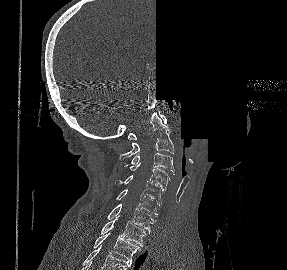
CT · the image is 287 mm wide · sagittal reformat · 287x270 px · a region of this slice is masked with a uniform fill
In the table, x1 and y1 are a box's top-left corner and x2 and y2 its bottom-right corner, in pixels.
| vertebra | x1 | y1 | x2 | y2 |
|---|---|---|---|---|
| C1 | 128 | 111 | 166 | 139 |
| C2 | 119 | 112 | 174 | 159 |
| C3 | 128 | 153 | 174 | 174 |
| C4 | 124 | 163 | 170 | 190 |
| C5 | 115 | 175 | 164 | 204 |
| C6 | 116 | 189 | 160 | 218 |
| C7 | 107 | 204 | 156 | 231 |
| T1 | 101 | 215 | 147 | 246 |
| T2 | 93 | 233 | 140 | 262 |